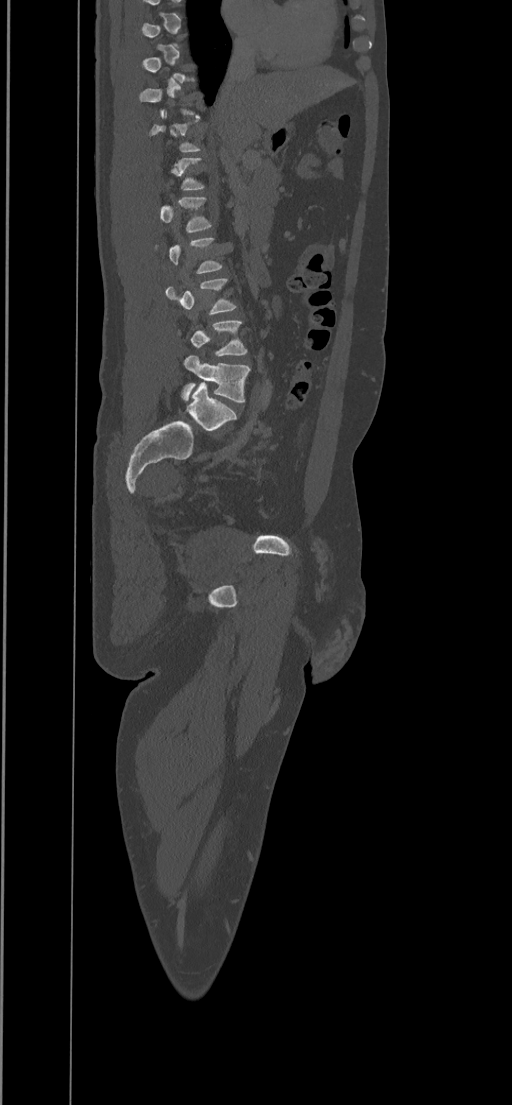
CT spine; 434 mm across the image; sagittal view; bone window
Box values are [left, top, right, bottom] in pixels.
A vertebra is boxed only from the first to the last slice where its cross-section is at least a third of its largest; slices outside that range leave it without a box.
{"vertebrae":{"L1":[159,197,211,233],"L3":[165,278,236,314],"L4":[177,321,248,356],"L5":[182,355,250,402]}}